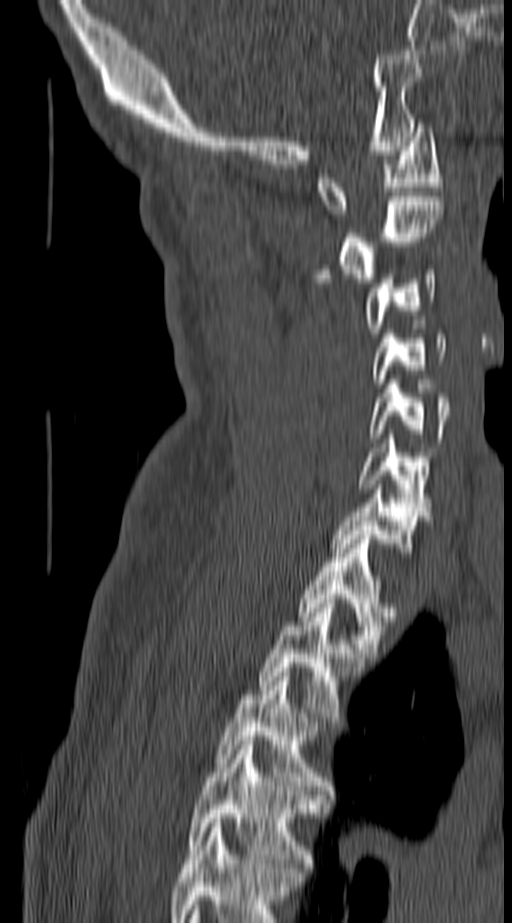
CT spine · sagittal view · 512x923 px

Boxes are (x1, y1, x2, y2) in pixels. This scan's labels start at C1 at the top and end at T4 at the bottom. 11 vertebrae labeled — C1 at (316, 123, 441, 214); C2 at (316, 197, 443, 282); C3 at (363, 270, 436, 333); C4 at (371, 334, 447, 383); C5 at (367, 370, 451, 442); C6 at (358, 434, 431, 511); C7 at (334, 485, 426, 552); T1 at (298, 535, 393, 657); T2 at (257, 599, 362, 717); T3 at (217, 672, 329, 790); T4 at (188, 741, 319, 872).